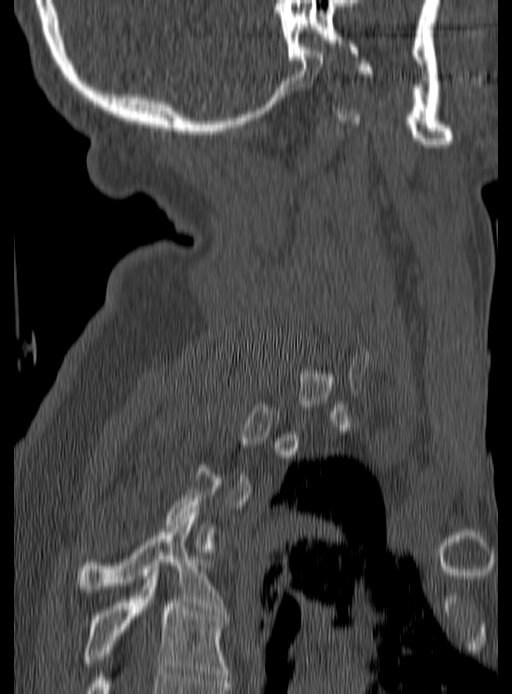
CT spine. sagittal view. Bone window (WL 400, WW 1800). 512x694 px. Columns x1, y1, x2, y2 give each box's top-left and bottom-right pixels.
Not every vertebra on this slice has a box: a vertebra is boxed only from the first to the last slice where its cross-section is at least a third of its largest, and this slice is outside that range for at least one of them.
| vertebra | x1 | y1 | x2 | y2 |
|---|---|---|---|---|
| T4 | 71 | 512 | 221 | 609 |
| T5 | 82 | 573 | 226 | 683 |